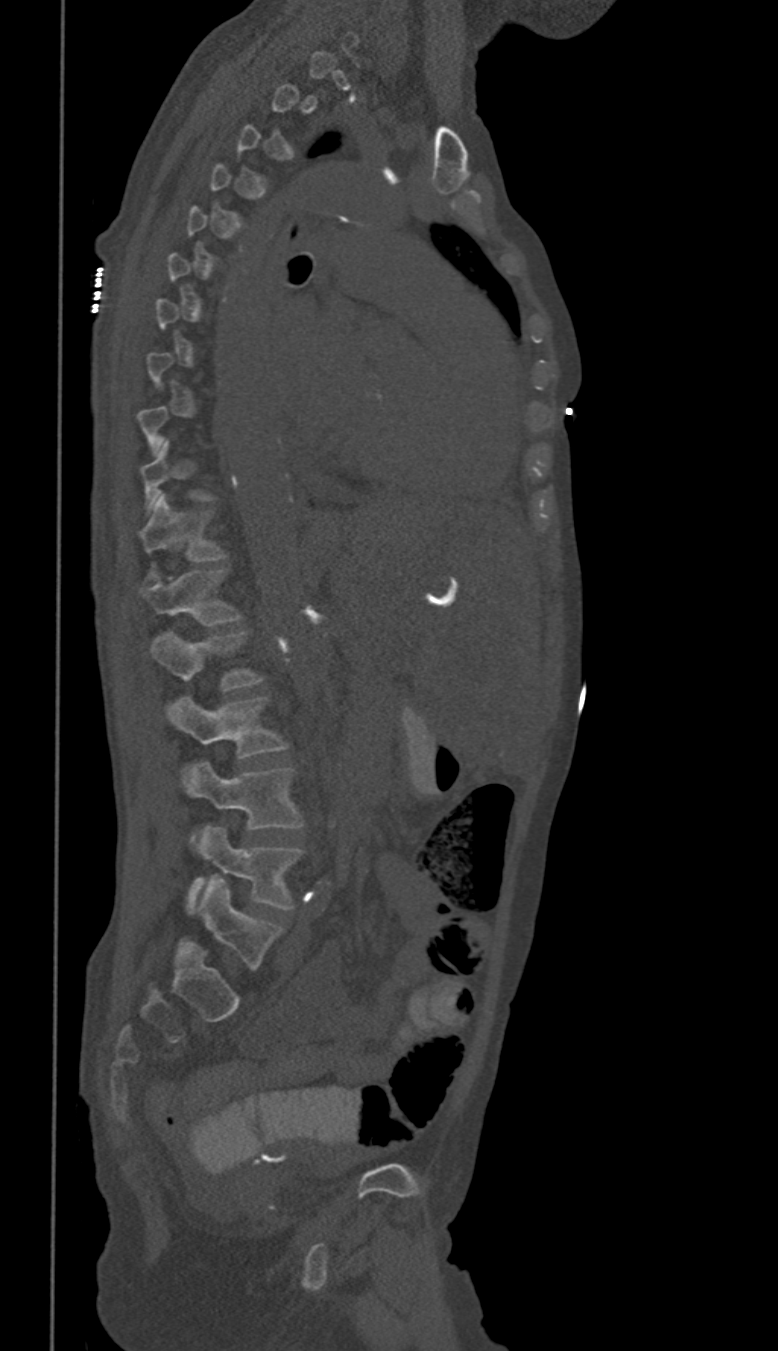 CT spine; sagittal reformat. Columns x1, y1, x2, y2 give each box's top-left and bottom-right pixels.
Not every vertebra on this slice has a box: a vertebra is boxed only from the first to the last slice where its cross-section is at least a third of its largest, and this slice is outside that range for at least one of them.
In these labels the thoracic vertebrae end at T11, so L1 follows T11.
| vertebra | x1 | y1 | x2 | y2 |
|---|---|---|---|---|
| T11 | 140 | 494 | 225 | 577 |
| L1 | 140 | 569 | 241 | 626 |
| L2 | 150 | 632 | 260 | 691 |
| L3 | 170 | 696 | 288 | 757 |
| L4 | 187 | 763 | 303 | 839 |
| L5 | 187 | 827 | 303 | 913 |